CT — sagittal view
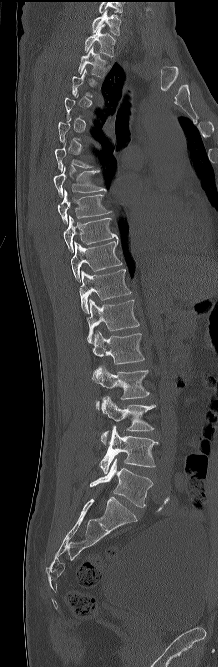

Boxes are given in columns x1, y1, x2, y2, the pixel coordinates of their top-left and bottom-right corners.
Not every vertebra on this slice has a box: a vertebra is boxed only from the first to the last slice where its cross-section is at least a third of its largest, and this slice is outside that range for at least one of them.
| vertebra | x1 | y1 | x2 | y2 |
|---|---|---|---|---|
| C7 | 92 | 9 | 121 | 35 |
| T1 | 85 | 23 | 115 | 57 |
| T2 | 78 | 47 | 107 | 76 |
| T7 | 53 | 166 | 106 | 197 |
| T8 | 57 | 189 | 111 | 223 |
| T9 | 63 | 216 | 118 | 252 |
| T10 | 71 | 240 | 122 | 282 |
| T11 | 79 | 269 | 131 | 313 |
| T12 | 86 | 299 | 139 | 343 |
| L1 | 92 | 330 | 144 | 364 |
| L2 | 92 | 365 | 150 | 409 |
| L3 | 101 | 396 | 155 | 444 |
| L4 | 99 | 425 | 158 | 473 |
| L5 | 90 | 458 | 153 | 507 |